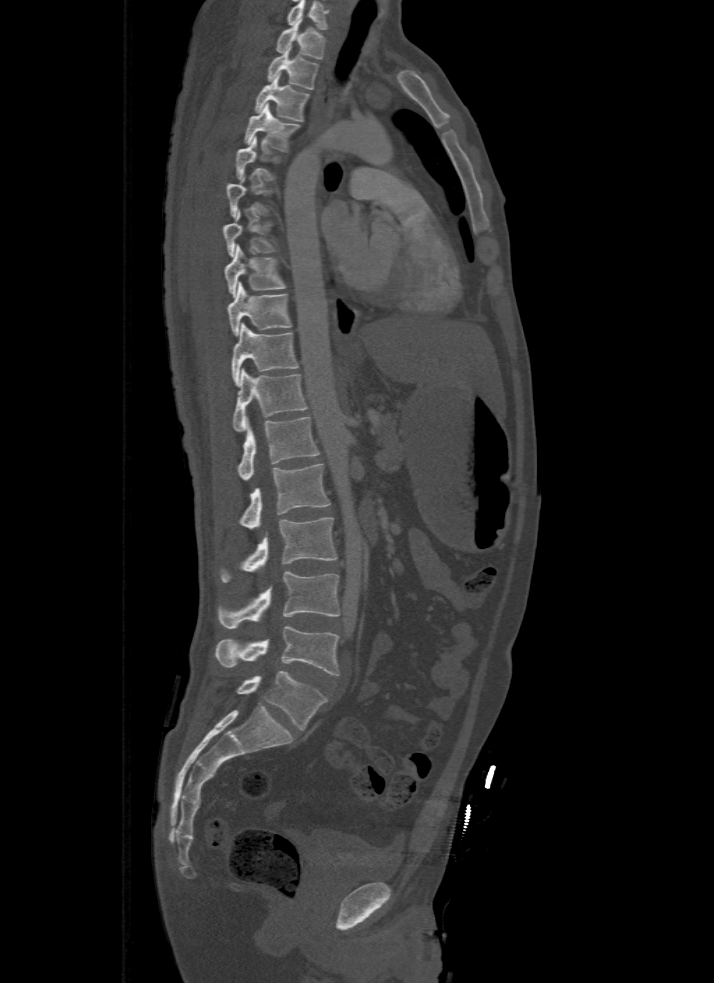
CT spine · image width 500 mm · sagittal view

Each vertebra is boxed only on the slices from the first to the last where its cross-section reaches a third of its largest, so a slice outside that range leaves it unboxed.
The highest labeled vertebra in this scan is T1; the lowest is L5.
<vertebrae><v name="T1" x1="275" y1="20" x2="325" y2="58"/><v name="T2" x1="265" y1="47" x2="318" y2="89"/><v name="T3" x1="254" y1="73" x2="310" y2="121"/><v name="T4" x1="243" y1="103" x2="300" y2="151"/><v name="T5" x1="236" y1="136" x2="285" y2="181"/><v name="T7" x1="223" y1="209" x2="279" y2="257"/><v name="T8" x1="223" y1="245" x2="286" y2="297"/><v name="T9" x1="227" y1="282" x2="292" y2="335"/><v name="T10" x1="232" y1="323" x2="299" y2="385"/><v name="T11" x1="232" y1="369" x2="307" y2="431"/><v name="T12" x1="236" y1="416" x2="318" y2="480"/><v name="L1" x1="237" y1="463" x2="331" y2="529"/><v name="L2" x1="219" y1="518" x2="337" y2="582"/><v name="L3" x1="218" y1="572" x2="341" y2="628"/><v name="L4" x1="216" y1="626" x2="339" y2="675"/><v name="L5" x1="216" y1="670" x2="328" y2="729"/></vertebrae>